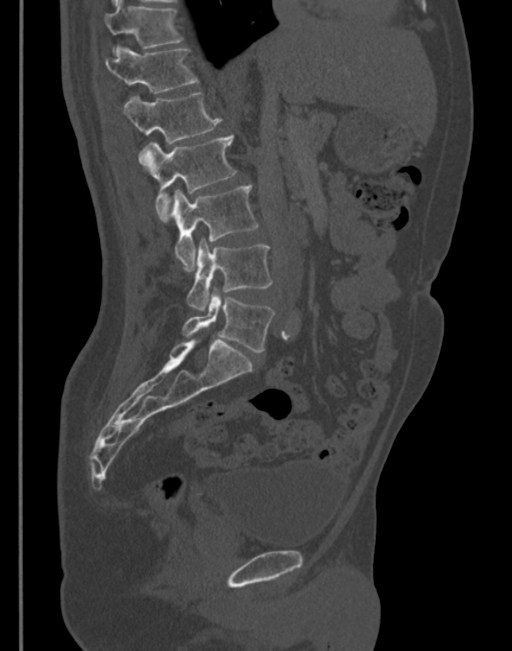

Spine CT — sagittal view — bone-window reconstruction. Bounding boxes as [x1, y1, x2, y2] in pixel coordinates. The labeled vertebrae in this slice are: L5 at [181, 287, 273, 352], L4 at [187, 240, 272, 311], L3 at [169, 185, 258, 270], L2 at [138, 134, 236, 220], L1 at [121, 93, 221, 144], T12 at [105, 46, 198, 93], T11 at [104, 0, 181, 50].